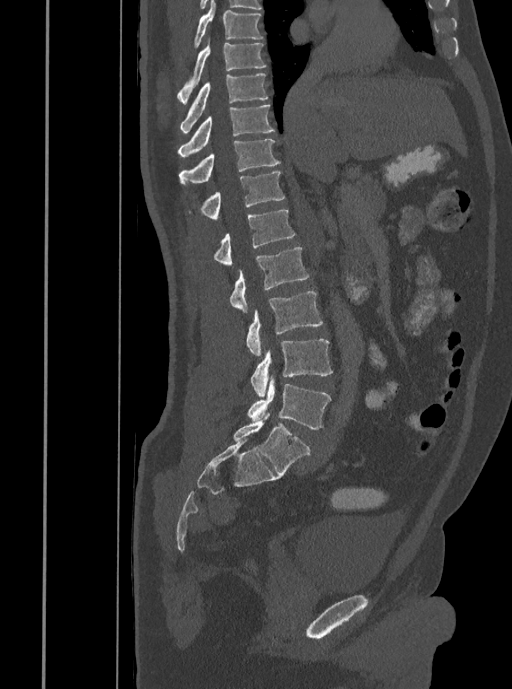 CT spine — sagittal view — bone window
Bounding boxes as [x1, y1, x2, y2] in pixel coordinates.
L5: [247, 376, 331, 429]
L4: [251, 339, 333, 397]
L3: [246, 291, 323, 356]
L2: [230, 247, 309, 313]
L1: [213, 210, 295, 264]
T12: [189, 171, 285, 219]
T11: [179, 139, 280, 185]
T10: [178, 104, 275, 157]
T9: [179, 73, 267, 132]
T8: [177, 36, 266, 103]
T7: [194, 0, 262, 46]